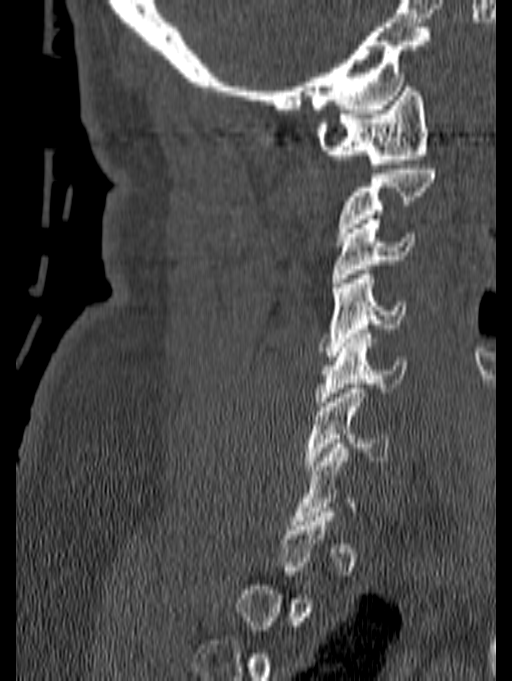

CT, spine · sagittal view · Bone window (WL 400, WW 1800)
Boxes are (x1, y1, x2, y2) in pixels.
Each vertebra is boxed only on the slices from the first to the last where its cross-section reaches a third of its largest, so a slice outside that range leaves it unboxed.
C6: (305, 384, 388, 470)
C5: (315, 329, 407, 406)
C4: (318, 270, 406, 356)
C3: (331, 219, 417, 282)
C1: (316, 82, 428, 168)